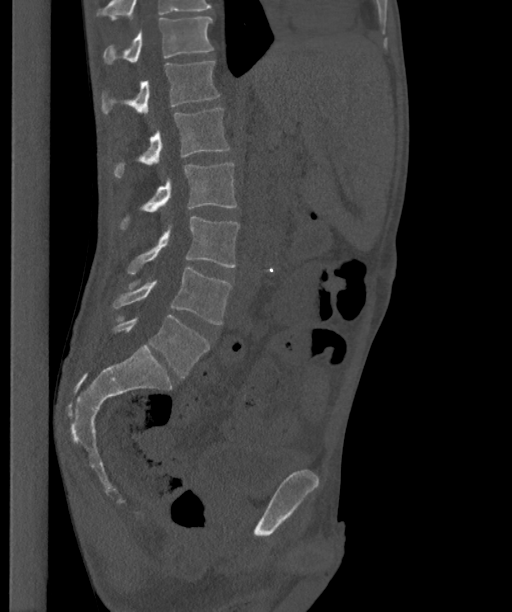 Computed tomography of the spine; sagittal view; W/L 1800/400 HU; 512x612 px; 363 mm image width. Bounding boxes as [x1, y1, x2, y2] in pixel coordinates.
The highest labeled vertebra in this scan is T12; the lowest is L6.
In these labels the spine has an L6, a sixth lumbar vertebra below L5.
Vertebra bounding boxes:
- T12: [103, 17, 213, 64]
- L1: [101, 61, 219, 115]
- L2: [114, 108, 229, 177]
- L3: [121, 162, 237, 229]
- L4: [127, 216, 239, 274]
- L5: [112, 267, 232, 324]
- L6: [113, 315, 209, 377]